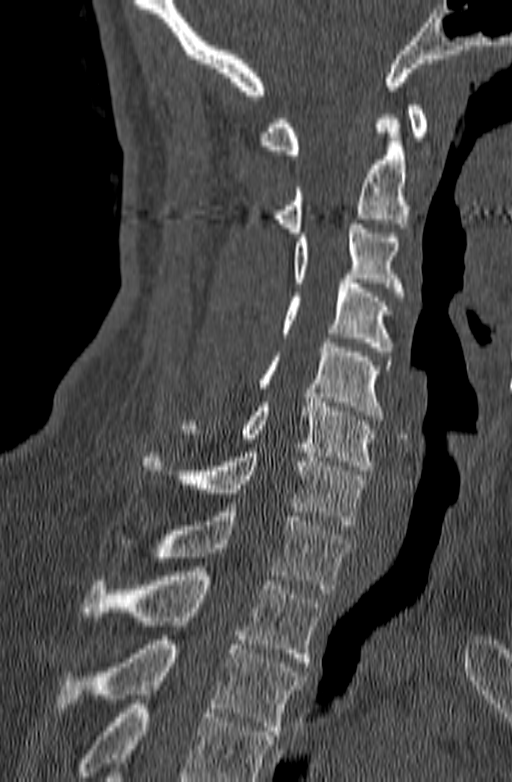
Computed tomography of the spine; sagittal view; the image is 140 mm wide
Boxes: x1:y1:x2:y2 in pixels.
Vertebrae that run past the bottom of the scan are left unlabeled.
T3: 55:640:305:735
T2: 82:571:322:662
T1: 120:507:351:593
C7: 142:448:366:529
C6: 179:398:377:470
C5: 258:338:392:420
C4: 280:279:392:351
C3: 294:219:404:296
C2: 276:114:406:237
C1: 260:105:427:159